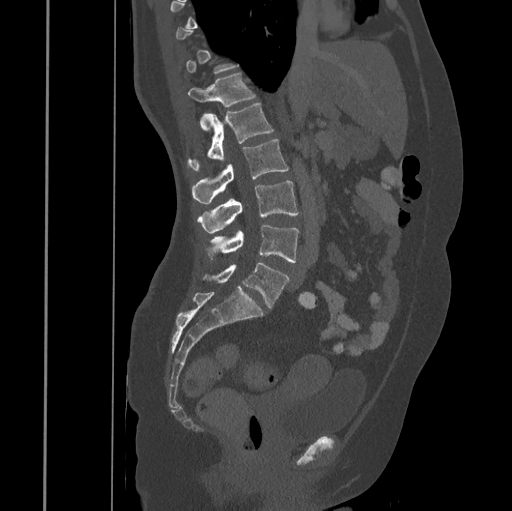 CT — sagittal view — W/L 1800/400 HU
Box edges are left/top/right/bottom in pixels.
A vertebra is boxed only from the first to the last slice where its cross-section is at least a third of its largest; slices outside that range leave it without a box.
Vertebra bounding boxes:
- T12: left=187, top=72, right=255, bottom=129
- L1: left=189, top=104, right=274, bottom=171
- L2: left=192, top=139, right=288, bottom=204
- L3: left=198, top=180, right=299, bottom=232
- L4: left=206, top=226, right=298, bottom=262
- L5: left=202, top=262, right=289, bottom=308